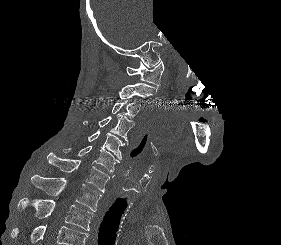

Spine computed tomography · sagittal reformat · bone window · part of the image is constant black where the scan was masked
Box edges are left/top/right/bottom in pixels.
No box is given to a vertebra that the bottom edge of the scan cuts off.
Vertebra bounding boxes:
- C1: left=126, top=61, right=163, bottom=88
- C2: left=118, top=83, right=156, bottom=99
- C3: left=111, top=101, right=140, bottom=118
- C4: left=83, top=113, right=134, bottom=145
- C5: left=88, top=129, right=124, bottom=159
- C6: left=63, top=146, right=119, bottom=176
- C7: left=47, top=152, right=112, bottom=192
- T1: left=31, top=175, right=101, bottom=211
- T2: left=17, top=198, right=94, bottom=230